CT; sagittal view; bone window
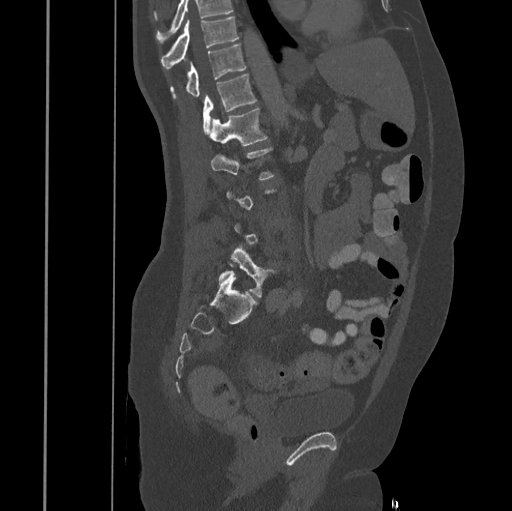
Boxes: x1:y1:x2:y2 in pixels.
A vertebra is boxed only from the first to the last slice where its cross-section is at least a third of its largest; slices outside that range leave it without a box.
Where the top of the scan cuts through a vertebra, that vertebra gets no label or box.
Vertebra bounding boxes:
- T10: 161:17:238:67
- T11: 170:45:245:97
- T12: 202:74:255:134
- L1: 208:108:267:146
- L5: 220:249:273:297